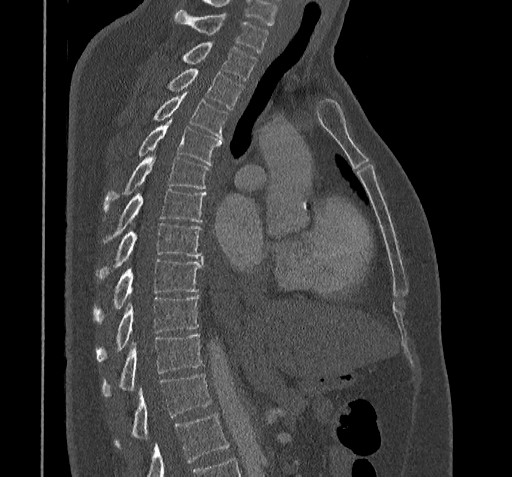

Spine CT. sagittal view. image width 322 mm
No box is given to a vertebra that the bottom edge of the scan cuts off.
<vertebrae><v name="C7" x1="175" y1="9" x2="267" y2="52"/><v name="T1" x1="179" y1="42" x2="256" y2="79"/><v name="T2" x1="165" y1="67" x2="242" y2="109"/><v name="T3" x1="152" y1="93" x2="228" y2="141"/><v name="T4" x1="136" y1="117" x2="221" y2="164"/><v name="T5" x1="103" y1="157" x2="209" y2="214"/><v name="T6" x1="101" y1="189" x2="205" y2="244"/><v name="T7" x1="97" y1="222" x2="202" y2="279"/><v name="T8" x1="94" y1="259" x2="202" y2="322"/><v name="T9" x1="95" y1="295" x2="199" y2="361"/><v name="T10" x1="103" y1="333" x2="202" y2="398"/><v name="T11" x1="114" y1="374" x2="210" y2="447"/></vertebrae>